Computed tomography of the spine; sagittal view; 7 vertebrae labeled in this scan
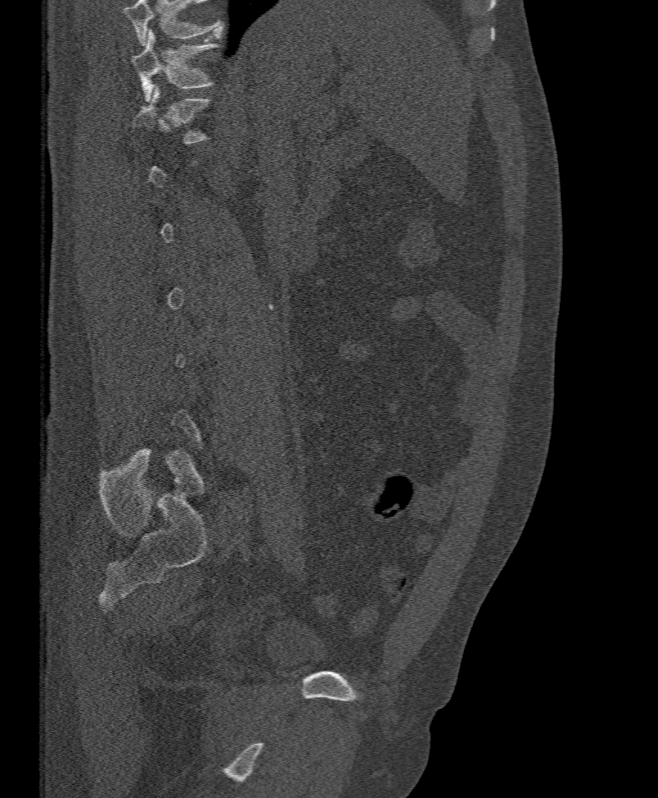 Box edges are left/top/right/bottom in pixels. Not every vertebra on this slice has a box: a vertebra is boxed only from the first to the last slice where its cross-section is at least a third of its largest, and this slice is outside that range for at least one of them. No box is given to a vertebra that the top edge of the scan cuts off. Vertebrae labeled: T12 at left=130, top=86, right=210, bottom=144, T11 at left=131, top=30, right=218, bottom=101.